Spine CT — sagittal view — 17 vertebrae labeled in this scan — 500 mm image width
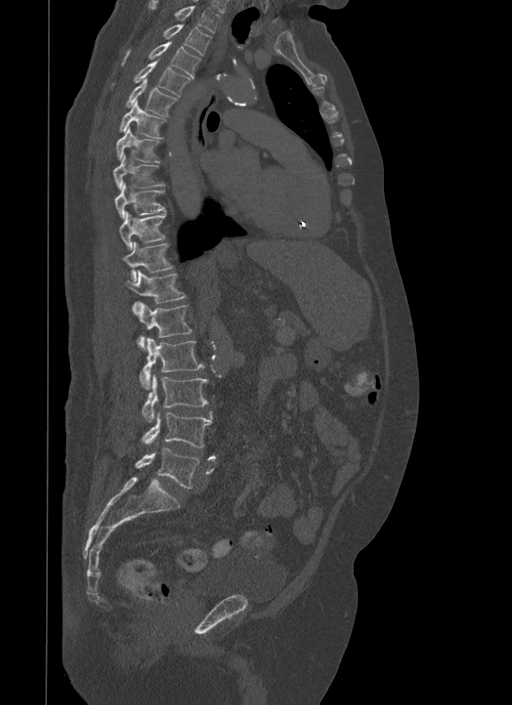

Each vertebra maps to its box as [x1, y1, x2, y2], the pixel coordinates of its top-left and bottom-right corners.
{"vertebrae":{"T1":[148,0,219,33],"T2":[164,24,211,55],"T3":[122,40,200,79],"T4":[135,58,190,97],"T5":[124,78,176,116],"T6":[119,100,165,138],"T7":[116,127,160,163],"T8":[113,155,163,188],"T9":[114,182,165,220],"T10":[119,211,166,251],"T11":[122,242,172,282],"T12":[125,270,186,303],"L1":[133,302,192,349],"L2":[140,338,204,389],"L3":[143,375,208,422],"L4":[143,412,212,448],"L5":[136,447,199,488]}}